CT spine — sagittal view — Bone window (WL 400, WW 1800) — the image spans 287 mm across — 11 vertebrae labeled in this scan
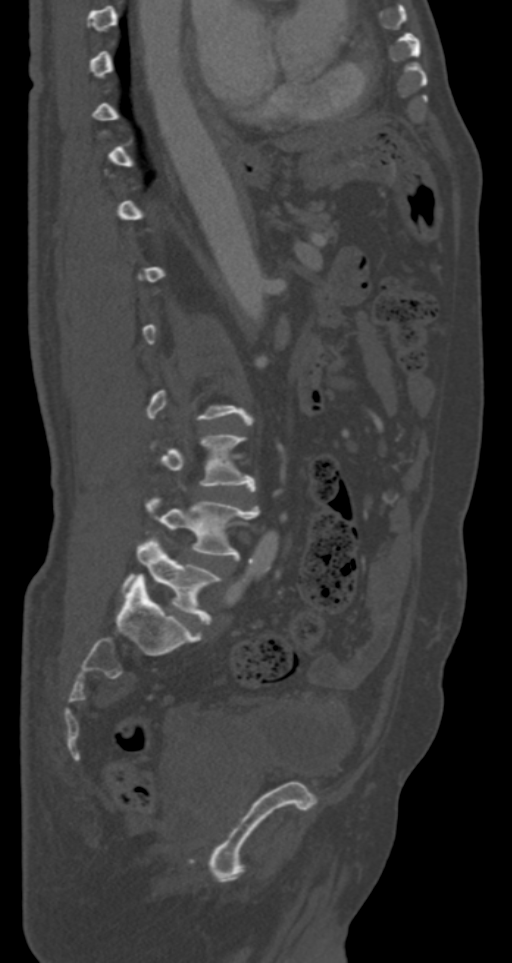

Not every vertebra on this slice has a box: a vertebra is boxed only from the first to the last slice where its cross-section is at least a third of its largest, and this slice is outside that range for at least one of them.
<vertebrae><v name="L3" x1="160" y1="435" x2="255" y2="490"/><v name="L4" x1="146" y1="497" x2="259" y2="558"/><v name="L5" x1="123" y1="538" x2="220" y2="623"/></vertebrae>